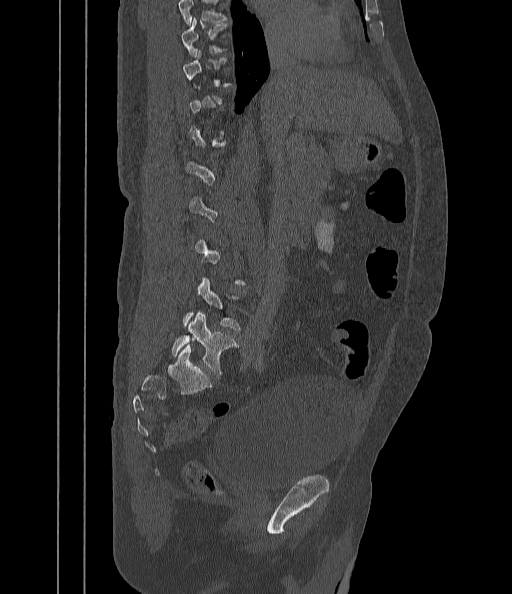 CT, spine · sagittal reformat · Bone window (WL 400, WW 1800) · 512x594 px
Box edges are left/top/right/bottom in pixels. A vertebra gets a box only on the slices from the first to the last where its cross-section is at least a third of its largest; on a slice outside that range it gets none. No box is given to a vertebra that the top edge of the scan cuts off. Vertebrae labeled: L5 at left=171, top=311, right=239, bottom=374, T9 at left=181, top=19, right=227, bottom=56.